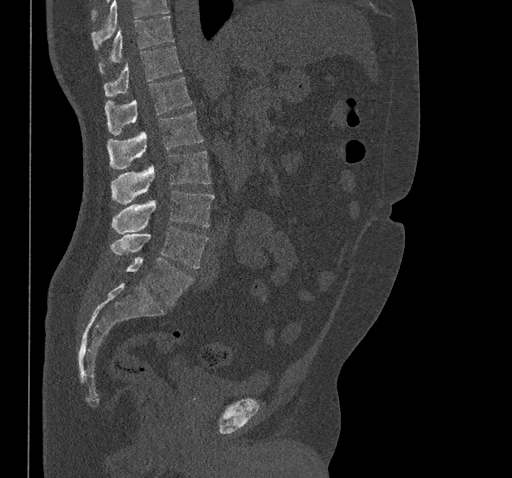 CT, spine — sagittal view — 512x478 px — the image spans 461 mm across
Bounding boxes as [x1, y1, x2, y2] in pixel coordinates.
A vertebra cut off by the top edge of the scan is not labeled and has no box.
Vertebra bounding boxes:
- T10: [99, 16, 173, 73]
- T11: [105, 46, 182, 96]
- T12: [105, 77, 192, 135]
- L1: [107, 111, 203, 168]
- L2: [111, 150, 210, 204]
- L3: [112, 191, 214, 234]
- L4: [110, 227, 208, 268]
- L5: [109, 257, 193, 305]